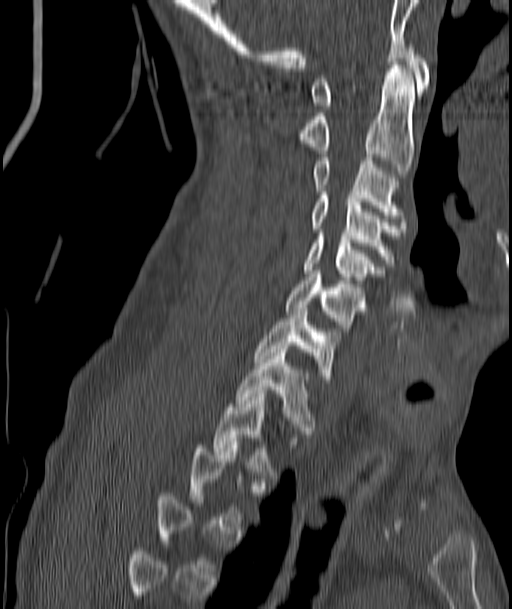 Spine computed tomography. the image is 187 mm wide. sagittal view. bone window

Not every vertebra on this slice has a box: a vertebra is boxed only from the first to the last slice where its cross-section is at least a third of its largest, and this slice is outside that range for at least one of them.
<vertebrae><v name="T2" x1="214" y1="394" x2="274" y2="471"/><v name="T1" x1="236" y1="349" x2="315" y2="437"/><v name="C7" x1="255" y1="308" x2="337" y2="382"/><v name="C6" x1="286" y1="274" x2="364" y2="331"/><v name="C5" x1="305" y1="233" x2="378" y2="286"/><v name="C4" x1="310" y1="192" x2="397" y2="263"/><v name="C3" x1="313" y1="157" x2="402" y2="218"/><v name="C2" x1="299" y1="65" x2="414" y2="174"/><v name="C1" x1="310" y1="44" x2="430" y2="109"/></vertebrae>